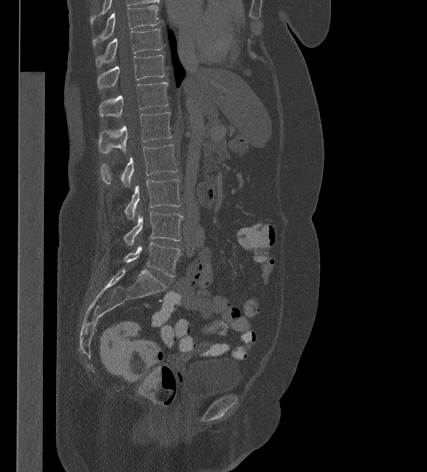
CT · sagittal view · W/L 1800/400 HU · 427x472 px
<vertebrae><v name="T9" x1="92" y1="5" x2="159" y2="45"/><v name="T10" x1="96" y1="29" x2="161" y2="67"/><v name="T11" x1="97" y1="55" x2="164" y2="88"/><v name="T12" x1="99" y1="82" x2="167" y2="117"/><v name="L1" x1="98" y1="112" x2="171" y2="153"/><v name="L2" x1="100" y1="144" x2="177" y2="187"/><v name="L3" x1="125" y1="179" x2="180" y2="221"/><v name="L4" x1="124" y1="211" x2="182" y2="246"/><v name="L5" x1="124" y1="242" x2="180" y2="276"/></vertebrae>